CT · sagittal plane, index 220 · scan covers 10 annotated vertebrae
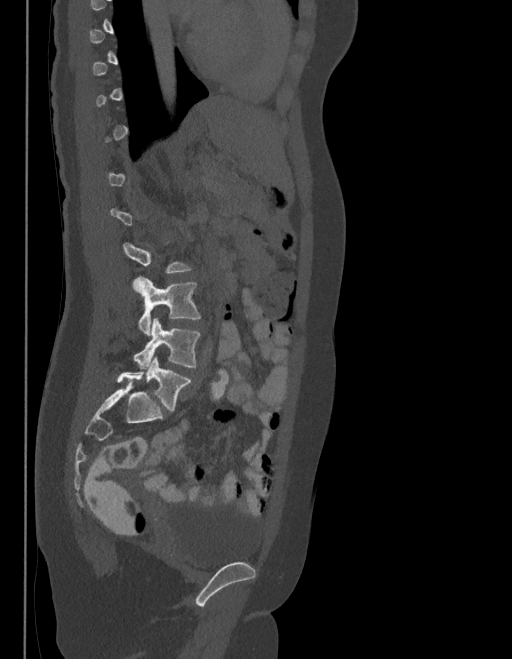 Each row gives a vertebra's box as x1, y1, x2, y2 in pixels: top-left corner, then bottom-right corner.
A vertebra is boxed only from the first to the last slice where its cross-section is at least a third of its largest; slices outside that range leave it without a box.
In these labels the spine has an L6, a sixth lumbar vertebra below L5.
| vertebra | x1 | y1 | x2 | y2 |
|---|---|---|---|---|
| L4 | 133 | 277 | 201 | 335 |
| L5 | 133 | 318 | 200 | 368 |
| L6 | 117 | 358 | 191 | 412 |